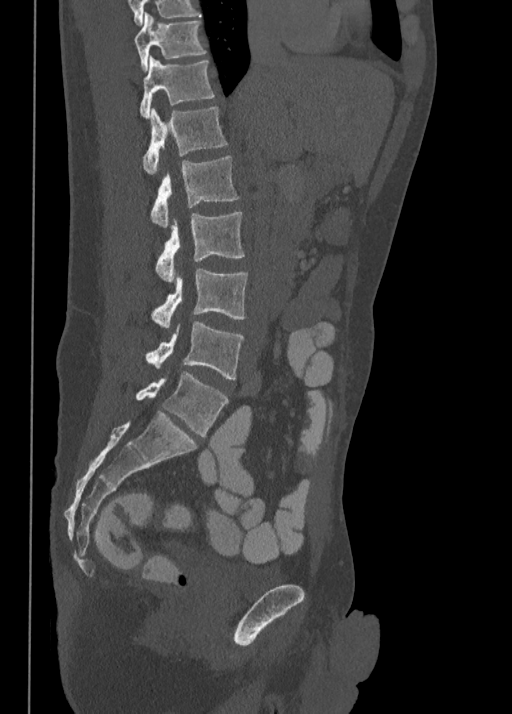
CT spine — sagittal reformat — Bone window (WL 400, WW 1800) — 512x714 px — 350 mm wide. Boxes: x1 y1 x2 y2 (pixel coords, space-separated). 8 vertebrae labeled — L5 at 136 371 228 436; L4 at 145 321 243 379; L3 at 150 269 247 328; L2 at 155 212 245 281; L1 at 150 157 239 227; T12 at 143 107 227 174; T11 at 140 55 215 117; T10 at 134 13 206 70.